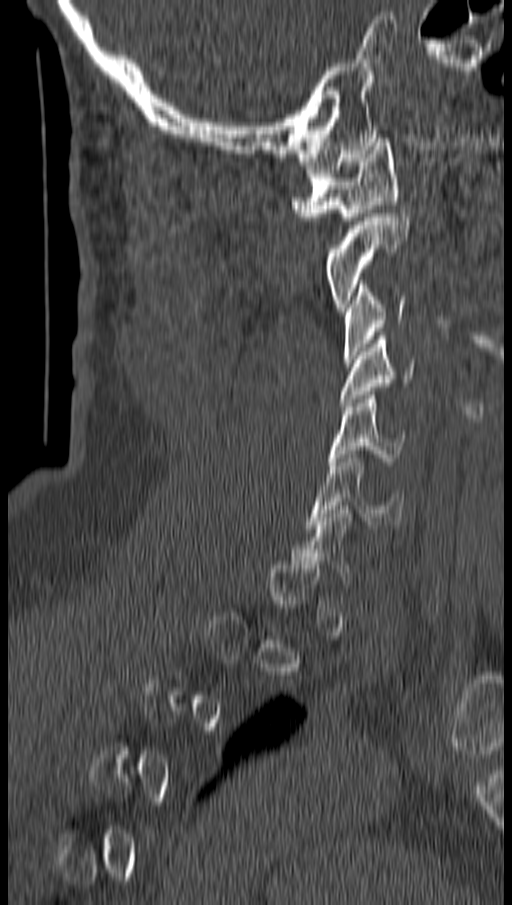

Computed tomography of the spine; sagittal view

Each box given as x1,y1,x2,y2.
A vertebra gets a box only on the slices from the first to the last where its cross-section is at least a third of its largest; on a slice outside that range it gets none.
C1: x1=291, y1=138, x2=398, y2=220
C2: x1=327, y1=213, x2=408, y2=311
C3: x1=342, y1=280, x2=405, y2=362
C4: x1=339, y1=336, x2=414, y2=406
C5: x1=330, y1=391, x2=406, y2=465
C6: x1=308, y1=454, x2=406, y2=528